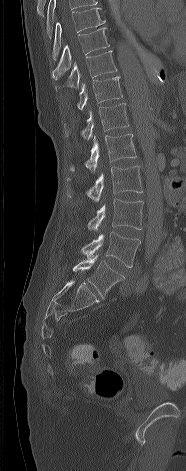

CT, spine; sagittal view; W/L 1800/400 HU

Boxes: x1:y1:x2:y2 in pixels.
L5: 73:255:124:298
L4: 81:232:140:267
L3: 88:198:143:231
L2: 66:166:142:202
L1: 69:134:136:172
T12: 64:103:128:140
T11: 77:76:122:109
T10: 55:50:117:90
T9: 51:27:109:79
T8: 52:7:105:60